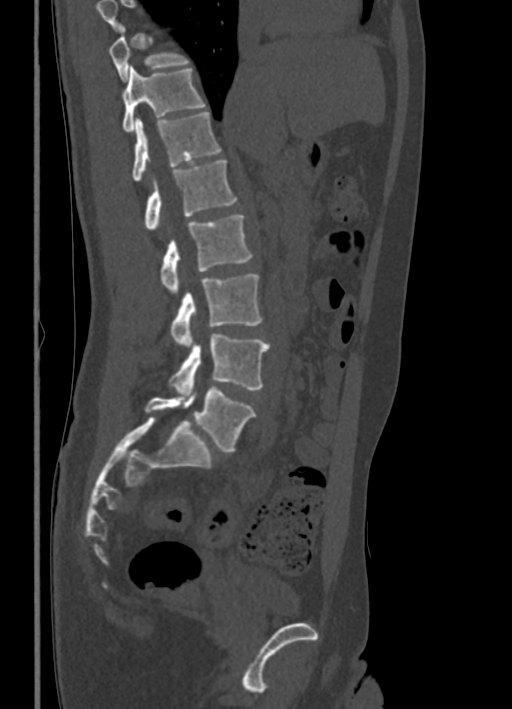 Spine CT. sagittal view. Bone window (WL 400, WW 1800)
Each box given as x1,y1,x2,y2.
Vertebrae that run past the top of the scan are left unlabeled.
Vertebra bounding boxes:
- T10: x1=109, y1=35, x2=189, y2=81
- T11: x1=122, y1=66, x2=205, y2=132
- T12: x1=132, y1=111, x2=221, y2=181
- L1: x1=145, y1=160, x2=237, y2=230
- L2: x1=161, y1=215, x2=252, y2=293
- L3: x1=170, y1=274, x2=262, y2=347
- L4: x1=169, y1=334, x2=269, y2=394
- L5: x1=145, y1=387, x2=255, y2=451